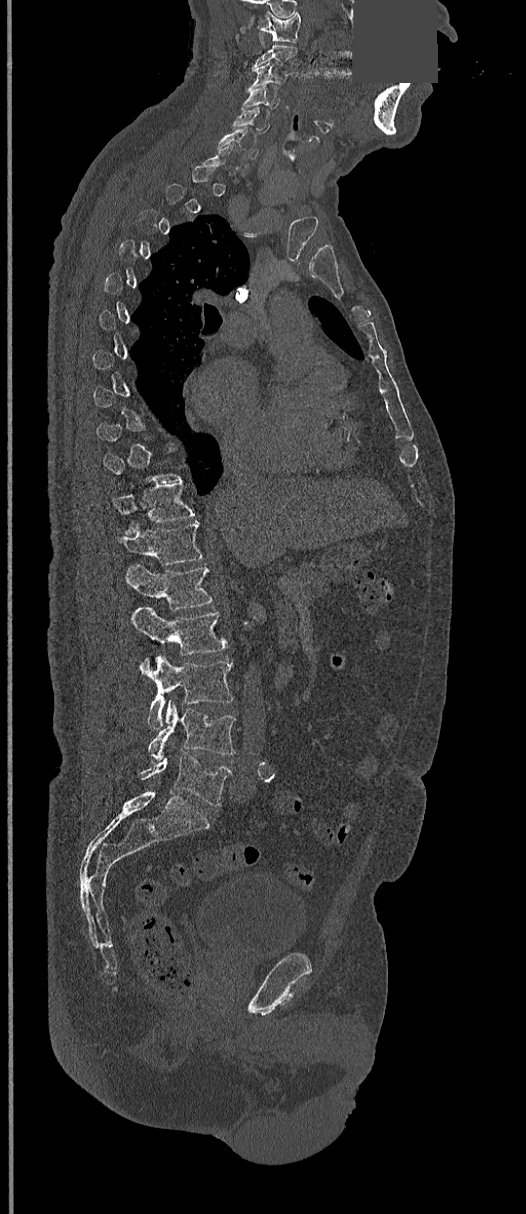
CT, spine — sagittal reformat — a region of this slice is masked with a uniform fill. Box edges are left/top/right/bottom in pixels.
Not every vertebra on this slice has a box: a vertebra is boxed only from the first to the last slice where its cross-section is at least a third of its largest, and this slice is outside that range for at least one of them.
C1: left=259, top=12, right=300, bottom=42
C3: left=248, top=61, right=288, bottom=88
C4: left=241, top=87, right=279, bottom=109
C5: left=233, top=107, right=270, bottom=133
C6: left=216, top=127, right=257, bottom=158
T11: left=113, top=484, right=194, bottom=532
T12: left=118, top=520, right=203, bottom=565
L1: left=125, top=564, right=213, bottom=610
L2: left=131, top=607, right=227, bottom=655
L3: left=140, top=656, right=233, bottom=729
L4: left=147, top=700, right=236, bottom=761
L5: left=139, top=753, right=232, bottom=806